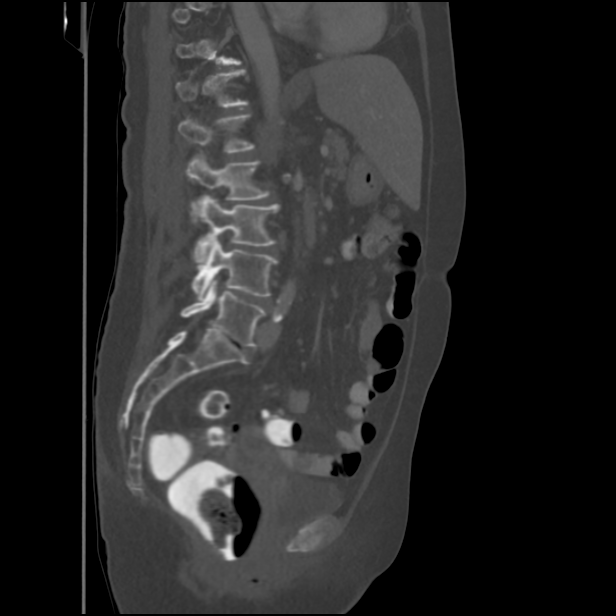 Computed tomography of the spine. sagittal view. bone-window reconstruction
Boxes are (x1, y1, x2, y2) in pixels. Not every vertebra on this slice has a box: a vertebra is boxed only from the first to the last slice where its cross-section is at least a third of its largest, and this slice is outside that range for at least one of them. Vertebrae labeled: T12 at (175, 69, 248, 107), L1 at (178, 114, 255, 153), L2 at (186, 158, 269, 217), L3 at (194, 195, 279, 266), L4 at (192, 236, 278, 299), L5 at (181, 279, 265, 347).